CT spine · sagittal view · bone window · 512x933 px · 10 vertebrae labeled in this scan
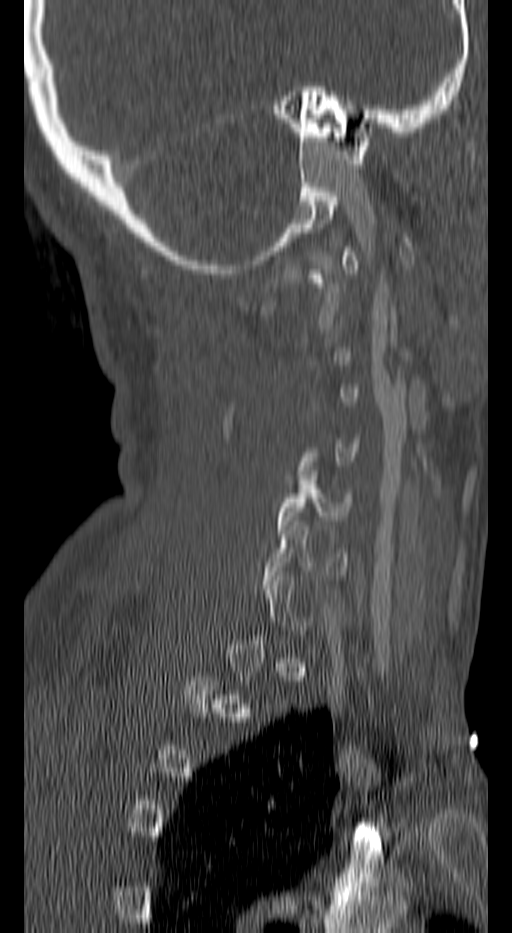

A vertebra gets a box only on the slices from the first to the last where its cross-section is at least a third of its largest; on a slice outside that range it gets none.
<vertebrae><v name="C5" x1="276" y1="471" x2="353" y2="529"/><v name="C6" x1="265" y1="521" x2="348" y2="589"/></vertebrae>